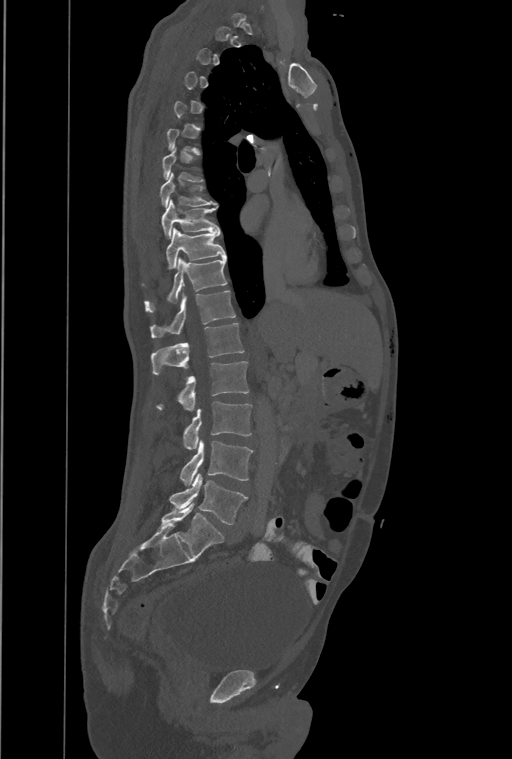

CT spine · sagittal view
Box edges are left/top/right/bottom in pixels.
A vertebra gets a box only on the slices from the first to the last where its cross-section is at least a third of its largest; on a slice outside that range it gets none.
The highest labeled vertebra in this scan is T1; the lowest is L4.
These labels give the spine a thirteenth thoracic vertebra: T13 sits between T12 and L1.
Vertebra bounding boxes:
- T8: left=160, top=172, right=216, bottom=207
- T9: left=162, top=199, right=218, bottom=238
- T10: left=166, top=228, right=225, bottom=268
- T11: left=144, top=258, right=227, bottom=311
- T12: left=151, top=290, right=235, bottom=337
- T13: left=151, top=322, right=244, bottom=374
- L1: left=156, top=361, right=248, bottom=410
- L2: left=183, top=401, right=252, bottom=449
- L3: left=181, top=440, right=252, bottom=485
- L4: left=170, top=474, right=247, bottom=525